Spine CT; Sagittal slice 239/512; W/L 1800/400 HU; 512x642 px; 9 vertebrae labeled in this scan
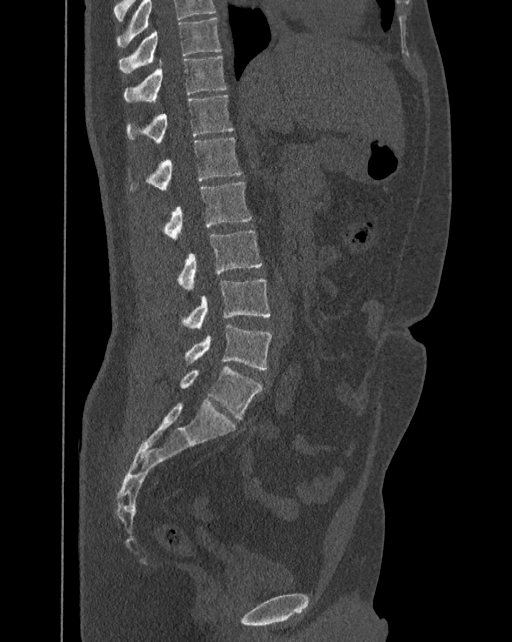 Boxes are (x1, y1, x2, y2) in pixels.
In this scan, the topmost labeled vertebra is T10 and the lowest is L6.
In these labels the spine has an L6, a sixth lumbar vertebra below L5.
Vertebra bounding boxes:
- L6: (180, 367, 261, 419)
- L5: (184, 324, 272, 369)
- L4: (181, 279, 271, 328)
- L3: (177, 230, 261, 289)
- L2: (162, 182, 251, 240)
- L1: (129, 138, 242, 192)
- T12: (127, 94, 233, 144)
- T11: (124, 55, 226, 101)
- T10: (119, 18, 221, 73)